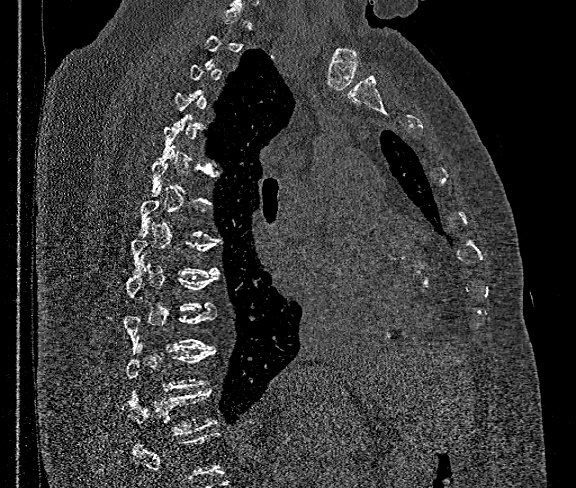

CT, spine. sagittal view. 576x488 px
Boxes: x1 y1 x2 y2 (pixel coords, space-separated). Not every vertebra on this slice has a box: a vertebra is boxed only from the first to the last slice where its cross-section is at least a third of its largest, and this slice is outside that range for at least one of them. Where the bottom of the scan cuts through a vertebra, that vertebra gets no label or box. The labeled vertebrae in this slice are: T9 at 126 261 219 311, T10 at 123 308 215 351, T11 at 126 348 216 391, T12 at 123 388 216 435.